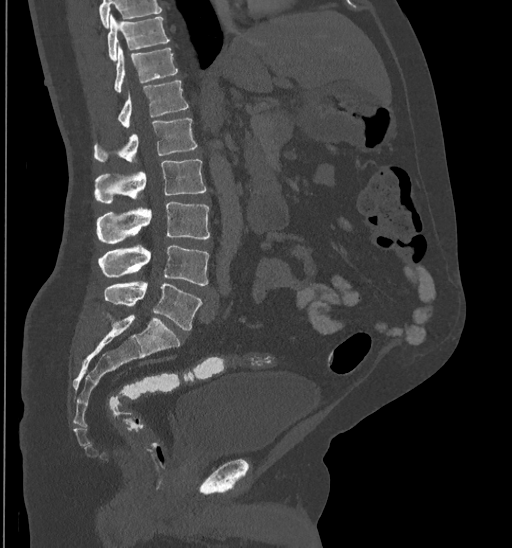

CT; sagittal view; bone window; 512x548 px

Boxes are (x1, y1, x2, y2) in pixels.
Where the top of the scan cuts through a vertebra, that vertebra gets no label or box.
Vertebra bounding boxes:
- L5: (103, 282, 201, 331)
- L4: (98, 246, 208, 285)
- L3: (98, 201, 210, 243)
- L2: (94, 159, 206, 203)
- L1: (94, 119, 197, 162)
- T12: (118, 81, 188, 127)
- T11: (114, 46, 178, 92)
- T10: (107, 15, 170, 60)